CT, spine · sagittal plane, index 248 · bone-window reconstruction · 512x642 px · 9 vertebrae labeled in this scan
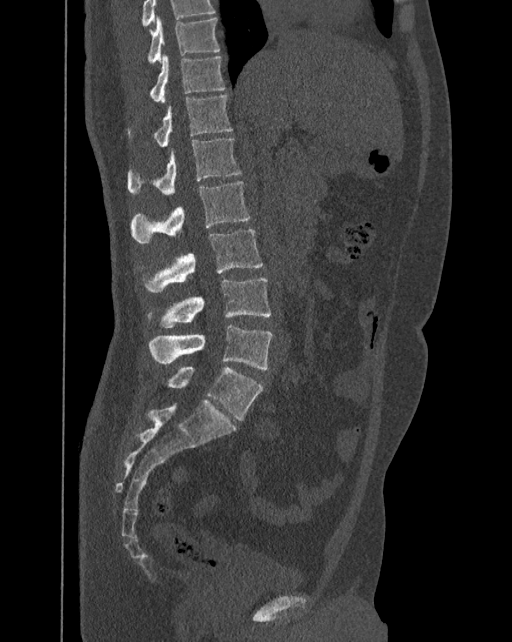
Each box given as x1,y1,x2,y2.
This scan's labels start at T10 at the top and end at L6 at the bottom.
These labels give the spine a sixth lumbar vertebra, L6, below L5.
| vertebra | x1 | y1 | x2 | y2 |
|---|---|---|---|---|
| T10 | 149 | 16 | 220 | 62 |
| T11 | 150 | 53 | 225 | 101 |
| T12 | 128 | 94 | 233 | 147 |
| L1 | 128 | 138 | 240 | 195 |
| L2 | 130 | 181 | 251 | 242 |
| L3 | 146 | 229 | 263 | 291 |
| L4 | 149 | 277 | 271 | 327 |
| L5 | 149 | 324 | 272 | 369 |
| L6 | 164 | 367 | 263 | 420 |